Computed tomography of the spine — image width 350 mm — sagittal plane, index 174 — bone window
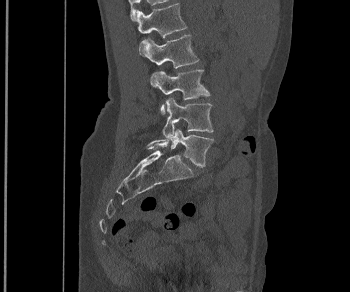
Boxes are given in columns x1, y1, x2, y2, the pixel coordinates of their top-left and bottom-right corners.
| vertebra | x1 | y1 | x2 | y2 |
|---|---|---|---|---|
| L1 | 137 | 2 | 187 | 37 |
| L2 | 139 | 34 | 199 | 68 |
| L3 | 150 | 69 | 209 | 113 |
| L4 | 162 | 98 | 213 | 140 |
| L5 | 147 | 129 | 214 | 167 |